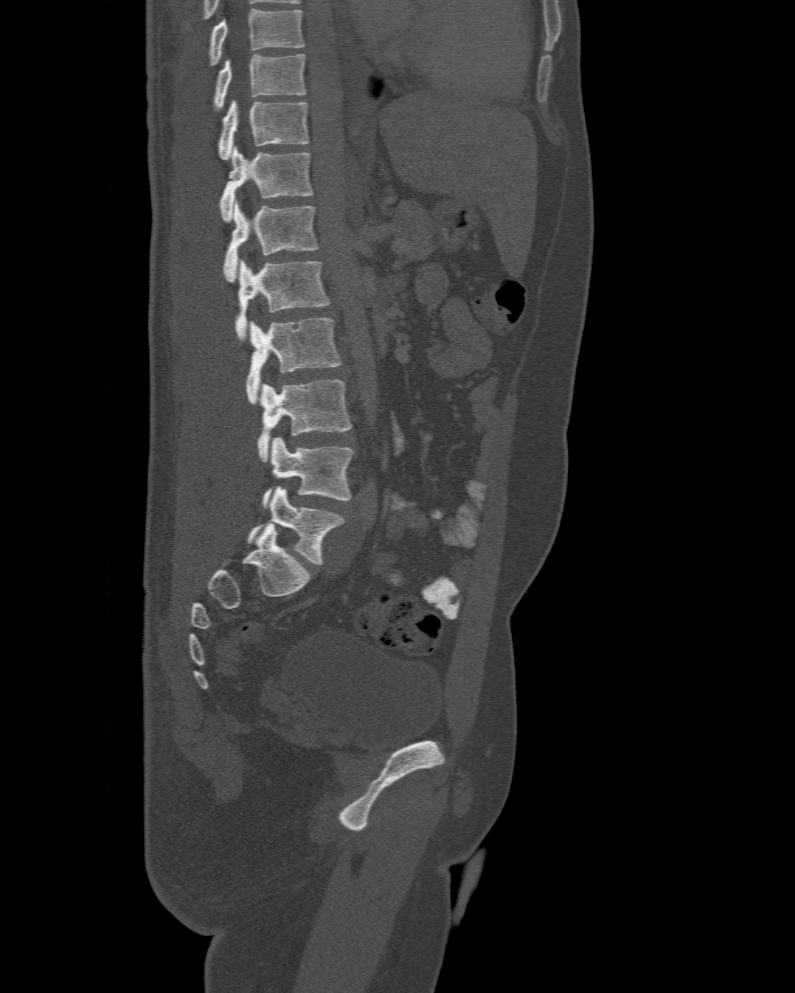 Spine computed tomography · sagittal view · bone-window reconstruction · the image is 477 mm wide · 795x993 px
Box values are [left, top, right, bottom] in pixels.
In this scan, the topmost labeled vertebra is T10 and the lowest is L6.
The labels name a sixth lumbar vertebra for this spine: L6, after L5.
{"vertebrae":{"T10":[213,53,305,109],"T11":[219,98,310,161],"T12":[220,145,313,223],"L1":[222,200,319,281],"L2":[234,261,328,340],"L3":[247,317,341,404],"L4":[258,380,350,461],"L5":[264,437,355,509],"L6":[248,487,344,564]}}